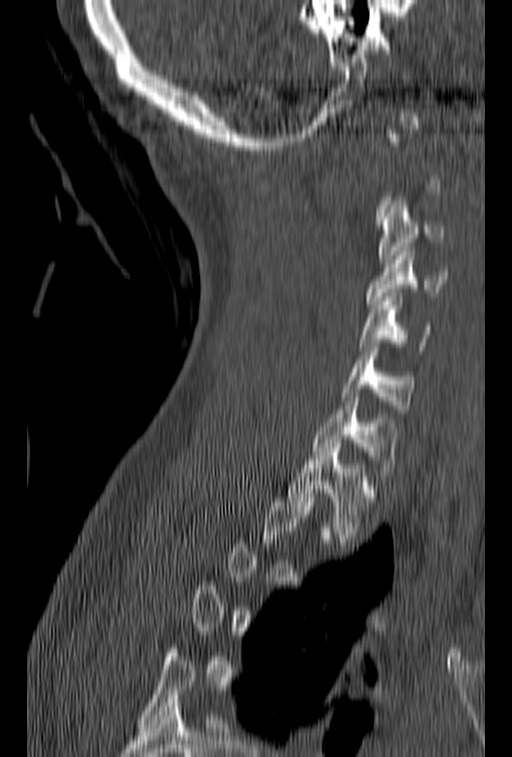 Spine CT. sagittal view. 512x757 px

Boxes: x1 y1 x2 y2 (pixel coords, space-separated).
Not every vertebra on this slice has a box: a vertebra is boxed only from the first to the last slice where its cross-section is at least a third of its largest, and this slice is outside that range for at least one of them.
Vertebra bounding boxes:
- C3: 378 197 445 263
- C4: 366 247 448 309
- C5: 359 293 433 350
- C6: 341 343 415 413
- C7: 312 393 398 484
- T1: 289 443 378 543